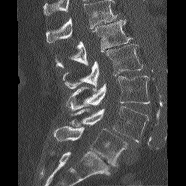 Spine CT — sagittal view — 186x186 px

Each vertebra maps to its box as [x1, y1, x2, y2], the pixel coordinates of its top-left and bottom-right corners.
No box is given to a vertebra that the top edge of the scan cuts off.
{"vertebrae":{"L1":[55,20,131,67],"L2":[63,44,143,90],"L3":[66,75,150,110],"L4":[70,106,149,143],"L5":[54,126,127,166]}}